CT spine — Sagittal slice 260/512 — bone-window reconstruction — 512x323 px
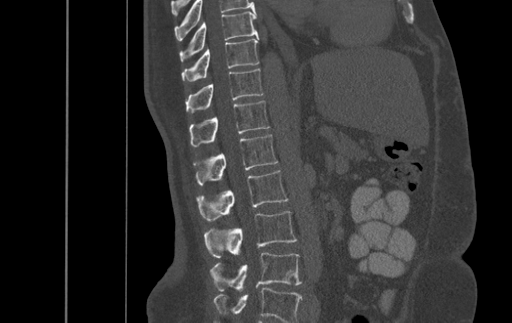
Box edges are left/top/right/bottom in pixels. The highest labeled vertebra in this scan is T9; the lowest is L4. Vertebrae labeled: T9 at left=179, top=12, right=257, bottom=60, T10 at left=182, top=36, right=259, bottom=81, T11 at left=186, top=69, right=263, bottom=113, T12 at left=190, top=100, right=269, bottom=146, L1 at left=194, top=134, right=277, bottom=185, L2 at left=197, top=170, right=288, bottom=221, L3 at left=204, top=211, right=296, bottom=257, L4 at left=210, top=252, right=301, bottom=291.